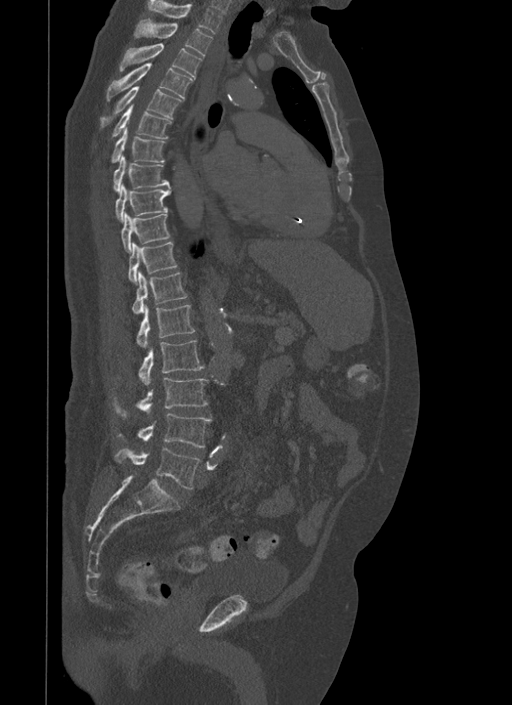
Spine CT. image width 500 mm. sagittal view
<vertebrae><v name="T1" x1="147" y1="0" x2="221" y2="34"/><v name="T2" x1="135" y1="18" x2="212" y2="57"/><v name="T3" x1="119" y1="43" x2="201" y2="79"/><v name="T4" x1="106" y1="62" x2="193" y2="100"/><v name="T5" x1="101" y1="86" x2="182" y2="126"/><v name="T6" x1="112" y1="104" x2="171" y2="138"/><v name="T7" x1="111" y1="127" x2="164" y2="163"/><v name="T8" x1="112" y1="156" x2="169" y2="190"/><v name="T9" x1="115" y1="184" x2="171" y2="221"/><v name="T10" x1="121" y1="212" x2="169" y2="253"/><v name="T11" x1="128" y1="242" x2="176" y2="283"/><v name="T12" x1="133" y1="271" x2="187" y2="313"/><v name="L1" x1="137" y1="304" x2="195" y2="347"/><v name="L2" x1="139" y1="340" x2="204" y2="385"/><v name="L3" x1="113" y1="378" x2="208" y2="416"/><v name="L4" x1="117" y1="413" x2="211" y2="448"/><v name="L5" x1="114" y1="447" x2="200" y2="488"/></vertebrae>